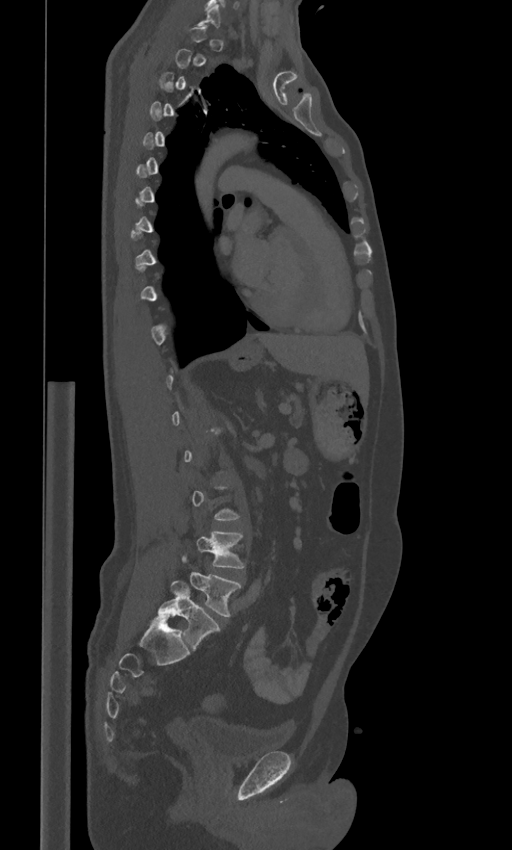 Computed tomography of the spine; sagittal view; 512x850 px; 443 mm wide. Each box given as x1,y1,x2,y2.
Not every vertebra on this slice has a box: a vertebra is boxed only from the first to the last slice where its cross-section is at least a third of its largest, and this slice is outside that range for at least one of them.
These labels give the spine a sixth lumbar vertebra, L6, below L5.
Vertebra bounding boxes:
- L4: x1=196, y1=530, x2=245, y2=568
- L5: x1=183, y1=555, x2=242, y2=617
- L6: x1=158, y1=580, x2=220, y2=650